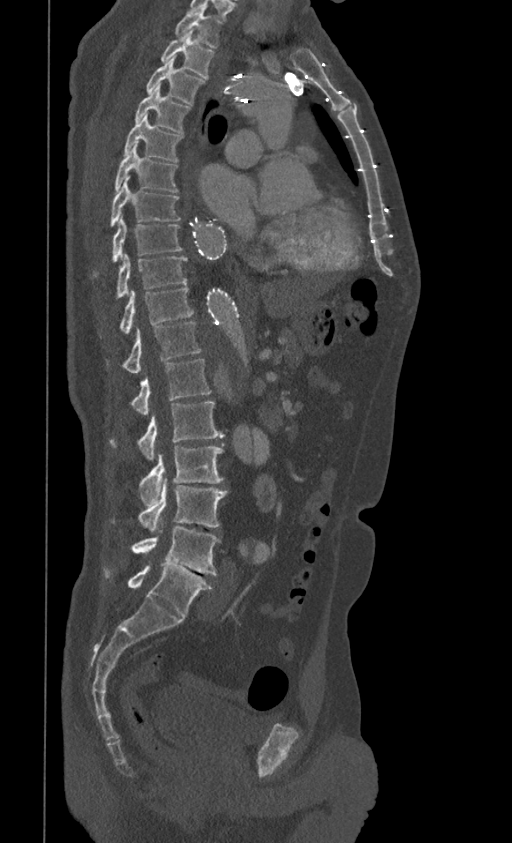

CT spine — sagittal view — bone-window reconstruction

Coordinates as <box>x1,y1,x2,y2</box>.
T1: <box>174,10,221,48</box>
T2: <box>160,31,215,78</box>
T3: <box>146,59,204,104</box>
T4: <box>135,84,190,133</box>
T5: <box>124,114,182,162</box>
T6: <box>114,146,177,192</box>
T7: <box>110,177,180,227</box>
T8: <box>95,216,182,275</box>
T9: <box>117,253,186,298</box>
T10: <box>119,288,194,334</box>
T11: <box>108,322,202,372</box>
T12: <box>131,359,212,415</box>
L1: <box>110,402,223,460</box>
L2: <box>140,446,223,505</box>
L3: <box>138,477,227,531</box>
L4: <box>131,527,220,575</box>
L5: <box>105,564,212,618</box>